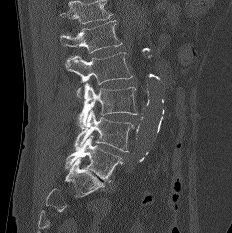

Spine CT. sagittal view. the image spans 232 mm across. Bone window (WL 400, WW 1800)
Each vertebra maps to its box as [x1, y1, x2, y2], the pixel coordinates of its top-left and bottom-right corners.
Vertebrae that run past the top of the scan are left unlabeled.
{"vertebrae":{"L1":[60,20,122,53],"L2":[65,52,132,84],"L3":[77,83,137,127],"L4":[74,110,134,151],"L5":[65,136,123,182]}}